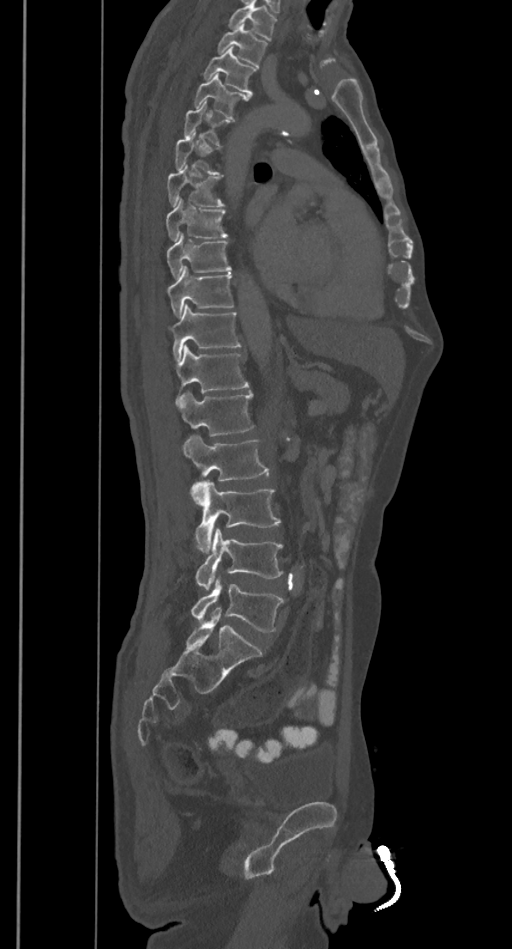
CT. sagittal reformat. 385 mm image width. Bone window (WL 400, WW 1800)

Each box given as x1,y1,x2,y2.
A vertebra is boxed only from the first to the last slice where its cross-section is at least a third of its largest; slices outside that range leave it without a box.
A vertebra cut off by the top edge of the scan is not labeled and has no box.
| vertebra | x1 | y1 | x2 | y2 |
|---|---|---|---|---|
| T2 | 218 | 24 | 266 | 66 |
| T3 | 203 | 48 | 255 | 94 |
| T4 | 194 | 74 | 249 | 117 |
| T7 | 166 | 166 | 224 | 206 |
| T8 | 166 | 197 | 228 | 241 |
| T9 | 166 | 233 | 230 | 278 |
| T10 | 166 | 266 | 233 | 316 |
| T11 | 169 | 304 | 241 | 360 |
| T12 | 175 | 346 | 249 | 393 |
| L1 | 177 | 391 | 253 | 436 |
| L2 | 183 | 436 | 269 | 503 |
| L3 | 195 | 481 | 281 | 553 |
| L4 | 195 | 529 | 282 | 590 |
| L5 | 191 | 576 | 283 | 632 |